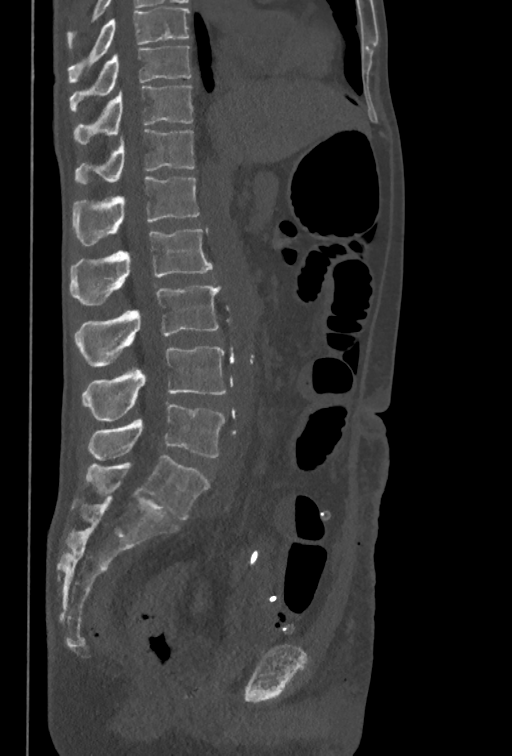 CT, spine. sagittal view. 350 mm across the image
This scan's labels start at T10 at the top and end at L5 at the bottom.
<vertebrae><v name="T10" x1="70" y1="46" x2="190" y2="111"/><v name="T11" x1="73" y1="86" x2="192" y2="145"/><v name="T12" x1="74" y1="129" x2="195" y2="185"/><v name="L1" x1="73" y1="176" x2="199" y2="245"/><v name="L2" x1="70" y1="229" x2="212" y2="304"/><v name="L3" x1="74" y1="284" x2="221" y2="366"/><v name="L4" x1="82" y1="346" x2="226" y2="422"/><v name="L5" x1="88" y1="404" x2="224" y2="460"/></vertebrae>